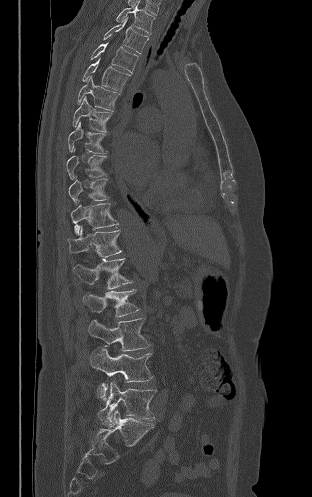 Spine computed tomography. sagittal reformat. W/L 1800/400 HU. 312x497 px
Columns x1, y1, x2, y2 give each box's top-left and bottom-right pixels.
| vertebra | x1 | y1 | x2 | y2 |
|---|---|---|---|---|
| T2 | 116 | 1 | 155 | 33 |
| T3 | 103 | 17 | 148 | 53 |
| T4 | 90 | 42 | 138 | 73 |
| T5 | 82 | 57 | 130 | 92 |
| T6 | 77 | 76 | 120 | 111 |
| T7 | 72 | 96 | 112 | 132 |
| T8 | 68 | 121 | 106 | 153 |
| T9 | 66 | 147 | 106 | 179 |
| T10 | 68 | 176 | 108 | 203 |
| T11 | 70 | 203 | 118 | 234 |
| T12 | 67 | 227 | 121 | 258 |
| L1 | 73 | 258 | 132 | 289 |
| L2 | 82 | 289 | 139 | 317 |
| L3 | 88 | 318 | 150 | 351 |
| L4 | 90 | 346 | 153 | 399 |
| L5 | 98 | 380 | 156 | 426 |